Spine computed tomography · 392 mm image width · sagittal view · 392x453 px · 8 vertebrae labeled in this scan
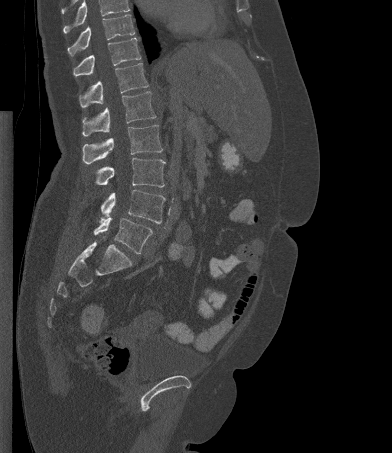 Box edges are left/top/right/bottom in pixels.
A vertebra cut off by the top edge of the scan is not labeled and has no box.
T10: left=67, top=14, right=135, bottom=55
T11: left=73, top=37, right=140, bottom=77
T12: left=79, top=63, right=148, bottom=107
L1: left=82, top=91, right=156, bottom=136
L2: left=82, top=125, right=162, bottom=164
L3: left=95, top=158, right=165, bottom=187
L4: left=101, top=189, right=165, bottom=223
L5: left=94, top=218, right=152, bottom=254